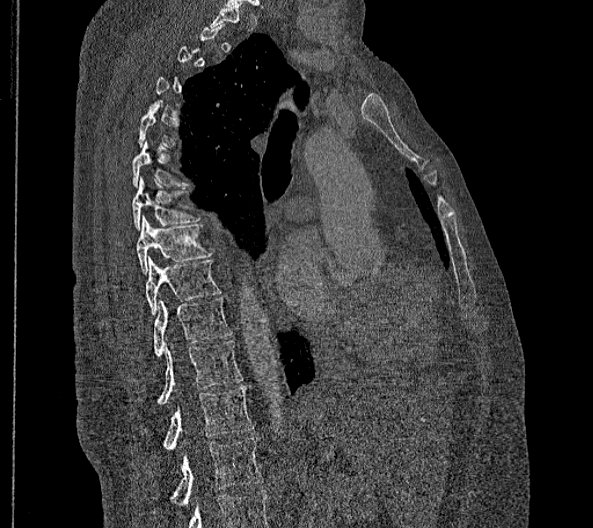
Spine CT — image width 356 mm — sagittal reformat

Boxes are given in columns x1, y1, x2, y2, the pixel coordinates of their top-left and bottom-right corners.
A vertebra is boxed only from the first to the last slice where its cross-section is at least a third of its largest; slices outside that range leave it without a box.
Labels in this scan begin with T2 at the top and end with L2 at the bottom.
These labels give this spine no T12: after T11 the next vertebra is L1.
| vertebra | x1 | y1 | x2 | y2 |
|---|---|---|---|---|
| L2 | 168 | 437 | 263 | 505 |
| L1 | 163 | 385 | 254 | 449 |
| T11 | 133 | 340 | 244 | 404 |
| T10 | 153 | 297 | 232 | 356 |
| T9 | 145 | 256 | 220 | 314 |
| T8 | 137 | 215 | 210 | 274 |
| T7 | 131 | 176 | 201 | 231 |
| T6 | 131 | 140 | 189 | 187 |